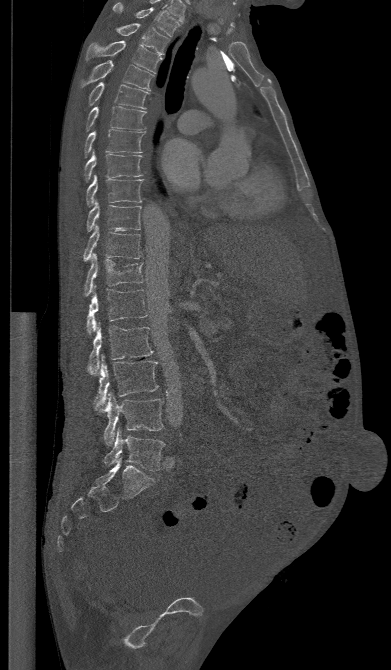

CT spine. sagittal reformat. 391 mm across the image. Bone window (WL 400, WW 1800)
Box edges are left/top/right/bottom in pixels.
Vertebra bounding boxes:
- L5: left=103, top=428, right=165, bottom=470
- L4: left=98, top=393, right=163, bottom=445
- L3: left=92, top=356, right=158, bottom=410
- L2: left=88, top=323, right=153, bottom=374
- L1: left=86, top=288, right=147, bottom=333
- T12: left=84, top=254, right=143, bottom=295
- T11: left=83, top=225, right=142, bottom=261
- T10: left=86, top=201, right=141, bottom=231
- T9: left=86, top=175, right=142, bottom=206
- T8: left=84, top=152, right=142, bottom=182
- T7: left=83, top=129, right=145, bottom=157
- T6: left=85, top=106, right=145, bottom=131
- T5: left=88, top=82, right=148, bottom=108
- T4: left=80, top=60, right=153, bottom=90
- T3: left=86, top=41, right=161, bottom=72
- T2: left=115, top=23, right=169, bottom=54
- T1: left=113, top=3, right=180, bottom=36